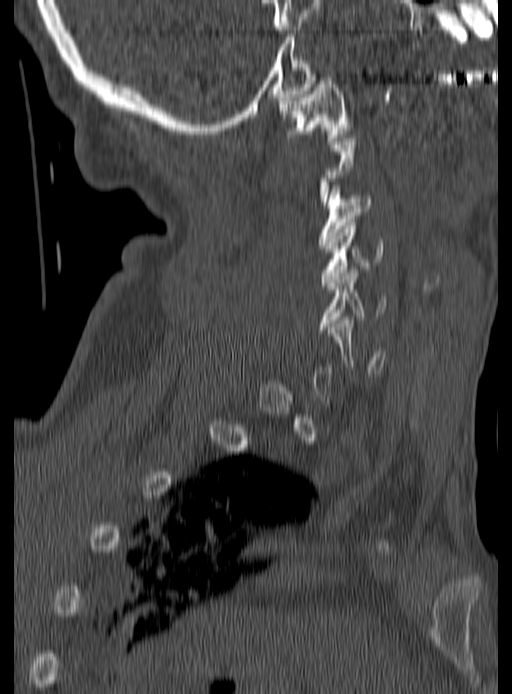
Spine CT. sagittal view. Bone window (WL 400, WW 1800)
Boxes: x1 y1 x2 y2 (pixel coords, space-separated).
A vertebra is boxed only from the first to the last slice where its cross-section is at least a third of its largest; slices outside that range leave it without a box.
C1: 279 74 353 144
C3: 317 182 372 245
C4: 322 222 383 285
C5: 319 269 387 329
C6: 327 317 385 373